Spine CT. sagittal view. 12 vertebrae labeled in this scan
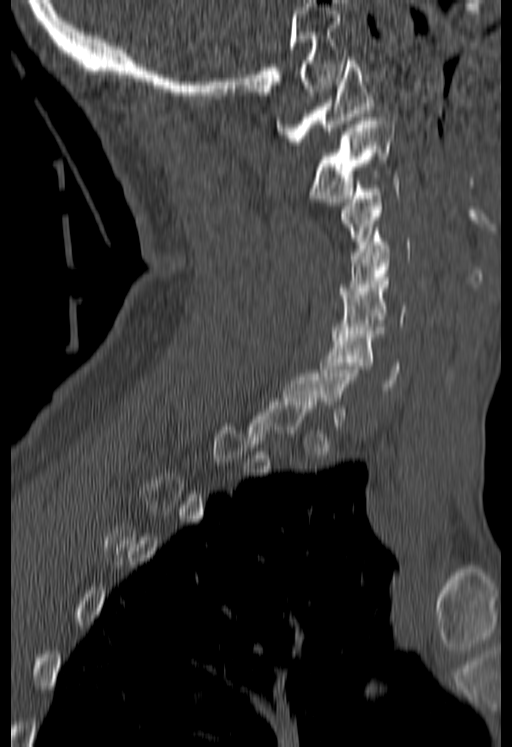
Each box given as x1,y1,x2,y2.
Each vertebra is boxed only on the slices from the first to the last where its cross-section reaches a third of its largest, so a slice outside that range leaves it unboxed.
| vertebra | x1 | y1 | x2 | y2 |
|---|---|---|---|---|
| C1 | 276 | 57 | 373 | 145 |
| C2 | 308 | 117 | 392 | 205 |
| C3 | 339 | 174 | 398 | 251 |
| C4 | 340 | 231 | 411 | 298 |
| C5 | 331 | 274 | 406 | 337 |
| C6 | 319 | 327 | 399 | 387 |